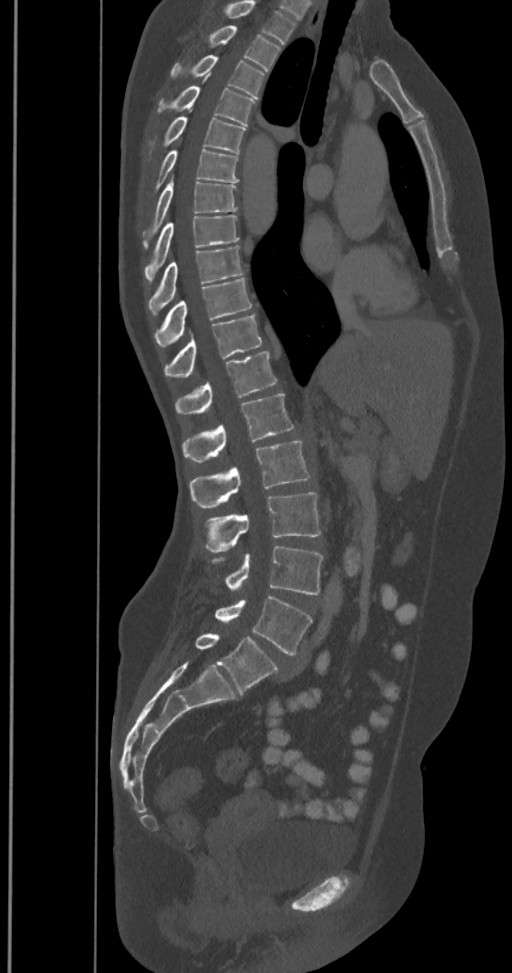 Computed tomography of the spine · sagittal view · bone-window reconstruction · 512x973 px. Each box given as x1,y1,x2,y2.
This scan's labels start at T2 at the top and end at L6 at the bottom.
In these labels the spine has an L6, a sixth lumbar vertebra below L5.
L6: x1=194, y1=633, x2=277, y2=694
L5: x1=215, y1=595, x2=312, y2=655
L4: x1=212, y1=546, x2=322, y2=594
L3: x1=205, y1=492, x2=321, y2=552
L2: x1=188, y1=441, x2=310, y2=507
L1: x1=183, y1=394, x2=294, y2=461
T12: x1=175, y1=352, x2=277, y2=414
T11: x1=164, y1=315, x2=261, y2=377
T10: x1=155, y1=278, x2=252, y2=347
T9: x1=148, y1=246, x2=243, y2=314
T8: x1=145, y1=216, x2=239, y2=283
T7: x1=142, y1=178, x2=237, y2=247
T6: x1=152, y1=150, x2=239, y2=191
T5: x1=149, y1=111, x2=246, y2=153
T4: x1=156, y1=75, x2=255, y2=125
T3: x1=171, y1=54, x2=264, y2=99
T2: x1=207, y1=25, x2=280, y2=71